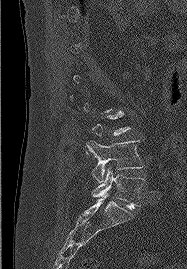

Spine computed tomography — sagittal view — bone window — 187x269 px

Box edges are left/top/right/bottom in pixels. A vertebra gets a box only on the slices from the first to the last where its cross-section is at least a third of its largest; on a slice outside that range it gets none. The labeled vertebrae in this slice are: L4 at left=86, top=140, right=143, bottom=182, L5 at left=92, top=168, right=144, bottom=209.